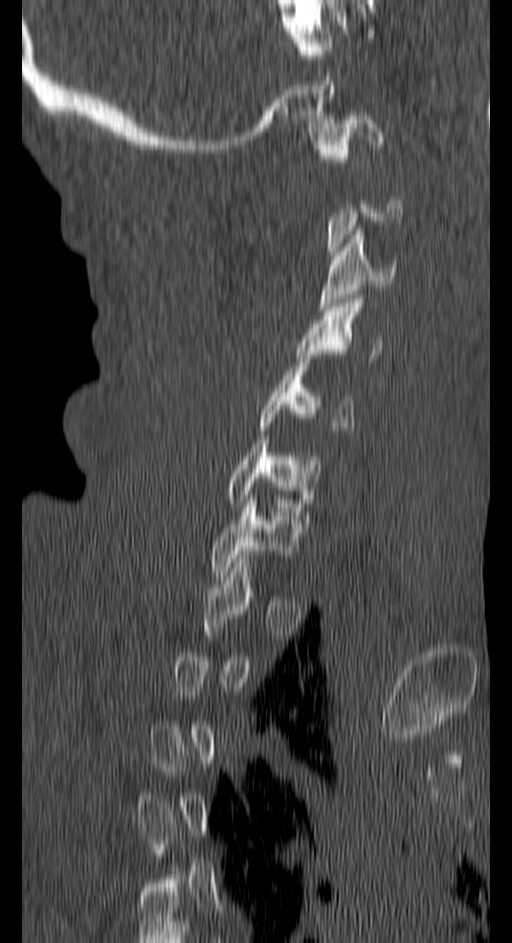

CT, spine. sagittal view
Box edges are left/top/right/bottom in pixels.
A vertebra is boxed only from the first to the last slice where its cross-section is at least a third of its largest; slices outside that range leave it without a box.
| vertebra | x1 | y1 | x2 | y2 |
|---|---|---|---|---|
| C1 | 315 | 115 | 383 | 165 |
| C3 | 318 | 226 | 396 | 310 |
| C4 | 295 | 299 | 381 | 366 |
| C5 | 257 | 363 | 355 | 434 |
| C6 | 226 | 439 | 320 | 507 |
| C7 | 209 | 499 | 298 | 575 |